Computed tomography of the spine — sagittal view — 512x756 px
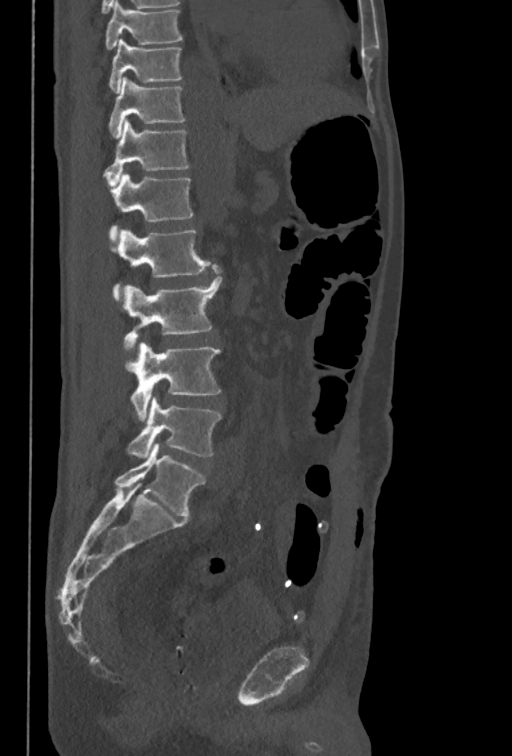

Each row gives a vertebra's box as x1, y1, x2, y2 in pixels: top-left corner, then bottom-right corner.
Labels in this scan begin with T10 at the top and end with L5 at the bottom.
| vertebra | x1 | y1 | x2 | y2 |
|---|---|---|---|---|
| T10 | 109 | 39 | 182 | 92 |
| T11 | 108 | 78 | 185 | 137 |
| T12 | 103 | 118 | 189 | 186 |
| L1 | 108 | 174 | 193 | 239 |
| L2 | 111 | 229 | 210 | 299 |
| L3 | 123 | 263 | 222 | 348 |
| L4 | 124 | 342 | 221 | 420 |
| L5 | 126 | 396 | 221 | 458 |